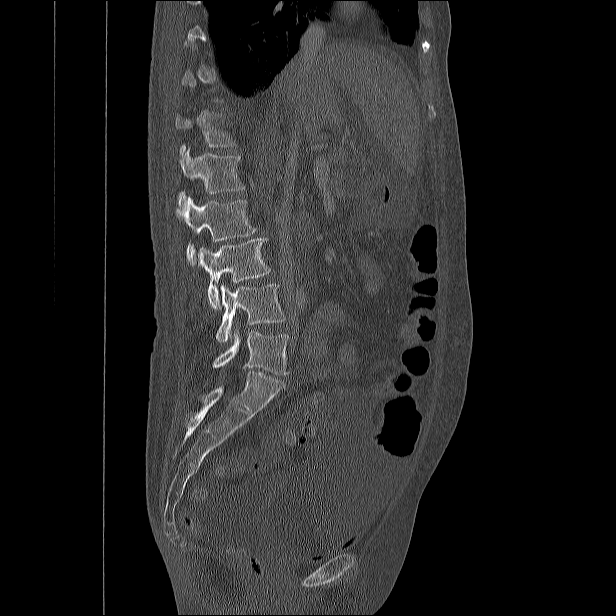
Spine computed tomography. sagittal view. bone-window reconstruction. 616x616 px
Box edges are left/top/right/bottom in pixels.
Not every vertebra on this slice has a box: a vertebra is boxed only from the first to the last slice where its cross-section is at least a third of its largest, and this slice is outside that range for at least one of them.
L5: left=212, top=328, right=289, bottom=375
L4: left=216, top=284, right=285, bottom=341
L3: left=198, top=238, right=270, bottom=307
L2: left=176, top=195, right=256, bottom=265
L1: left=179, top=147, right=244, bottom=202
T12: left=175, top=109, right=237, bottom=155